Spine computed tomography · sagittal view · W/L 1800/400 HU · image 103 mm wide · 103x157 px
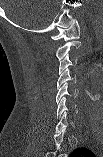

Coordinates as <box>x1,y1,x2,y2</box>.
In this scan, the topmost labeled vertebra is C1 and the lowest is C7.
Vertebra bounding boxes:
- C7: <box>55,111,74,132</box>
- C6: <box>56,97,77,119</box>
- C5: <box>56,82,78,104</box>
- C4: <box>57,68,76,89</box>
- C3: <box>59,54,76,74</box>
- C2: <box>56,41,80,60</box>
- C1: <box>51,19,80,40</box>